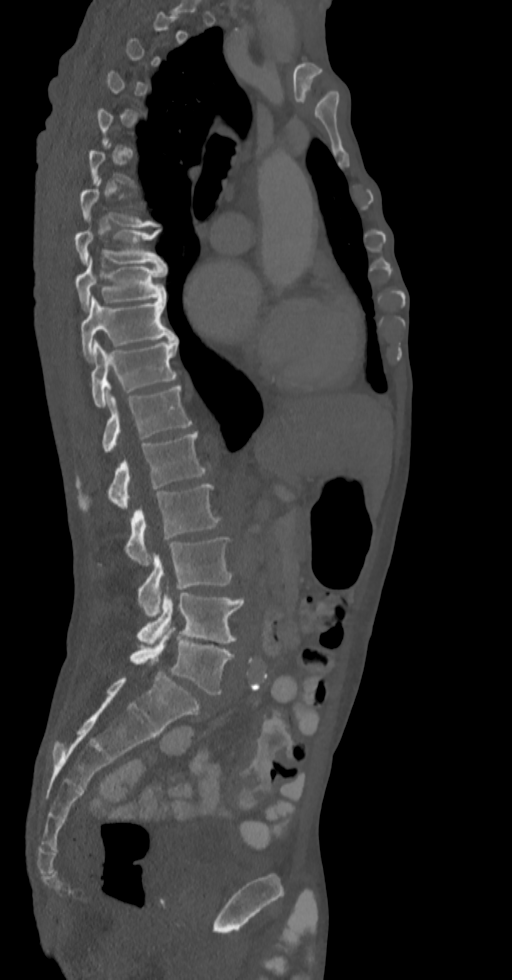

CT — sagittal view — bone-window reconstruction — 512x980 px
In the table, x1 and y1 are a box's top-left corner and x2 and y2 its bottom-right corner, in pixels.
A vertebra gets a box only on the slices from the first to the last where its cross-section is at least a third of its largest; on a slice outside that range it gets none.
| vertebra | x1 | y1 | x2 | y2 |
|---|---|---|---|---|
| T7 | 80 | 178 | 159 | 226 |
| T8 | 74 | 229 | 165 | 266 |
| T9 | 74 | 256 | 166 | 310 |
| T10 | 80 | 296 | 175 | 360 |
| T11 | 91 | 338 | 177 | 407 |
| T12 | 102 | 386 | 192 | 452 |
| L1 | 76 | 431 | 207 | 511 |
| L2 | 125 | 483 | 221 | 564 |
| L3 | 137 | 536 | 232 | 618 |
| L4 | 137 | 593 | 244 | 645 |
| L5 | 129 | 626 | 233 | 694 |